Spine computed tomography · sagittal view
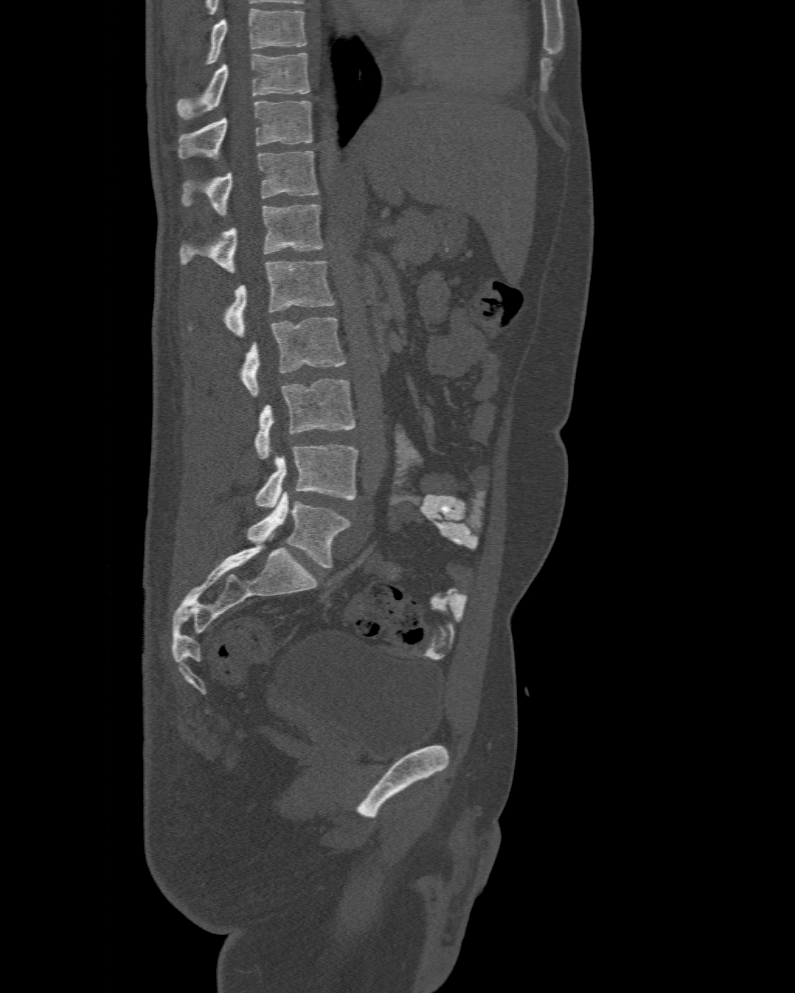 Box edges are left/top/right/bottom in pixels. In this scan, the topmost labeled vertebra is T10 and the lowest is L6. The labels name a sixth lumbar vertebra for this spine: L6, after L5. Vertebrae labeled: L6 at left=247, top=492, right=350, bottom=567, L5 at left=255, top=445, right=358, bottom=508, L4 at left=255, top=378, right=356, bottom=459, L3 at left=239, top=317, right=345, bottom=396, L2 at left=224, top=260, right=334, bottom=336, L1 at left=180, top=203, right=322, bottom=273, T12 at left=182, top=150, right=319, bottom=216, T11 at left=179, top=100, right=313, bottom=159, T10 at left=177, top=53, right=310, bottom=119.